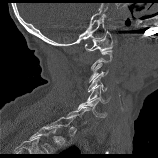

Spine computed tomography — sagittal reformat — bone-window reconstruction — 158x158 px — the image spans 158 mm across. Bounding boxes as [x1, y1, x2, y2] in pixel coordinates. A vertebra gets a box only on the slices from the first to the last where its cross-section is at least a third of its largest; on a slice outside that range it gets none. The labeled vertebrae in this slice are: C1 at [84, 31, 112, 51], C3 at [88, 62, 108, 82], C4 at [88, 71, 106, 91], C5 at [87, 85, 110, 103], C6 at [78, 98, 107, 117].